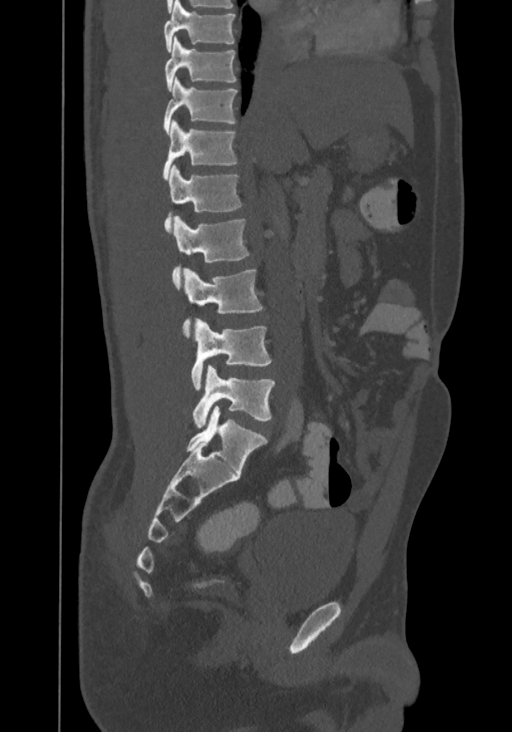 Spine CT. 367 mm image width. sagittal view

Coordinates as <box>x1,y1,x2,y2</box>.
The highest labeled vertebra in this scan is T8; the lowest is L4.
Vertebra bounding boxes:
- T8: <box>163,0,235,52</box>
- T9: <box>164,36,236,91</box>
- T10: <box>163,77,237,135</box>
- T11: <box>163,119,237,179</box>
- T12: <box>164,164,242,233</box>
- L1: <box>172,216,249,289</box>
- L2: <box>182,267,262,338</box>
- L3: <box>191,318,271,389</box>
- L4: <box>192,365,274,428</box>